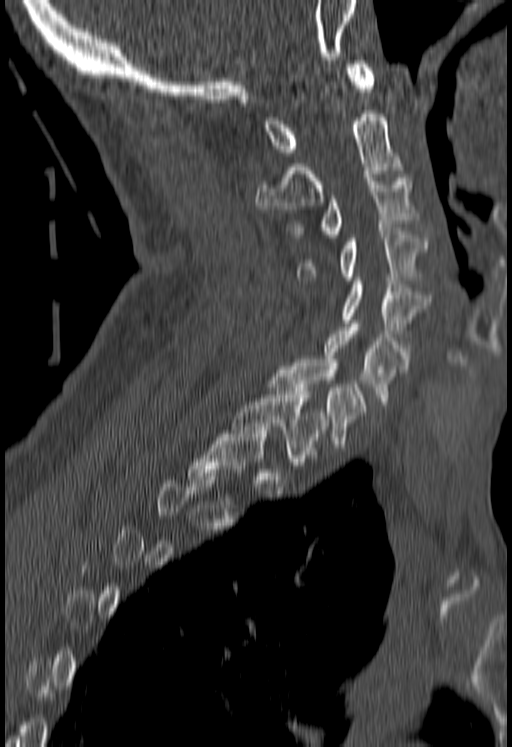 CT, spine · sagittal view · bone-window reconstruction · 512x747 px. Boxes: x1:y1:x2:y2 in pixels.
Not every vertebra on this slice has a box: a vertebra is boxed only from the first to the last slice where its cross-section is at least a third of its largest, and this slice is outside that range for at least one of them.
T1: 232:391:328:465
C7: 268:359:367:447
C6: 324:324:410:404
C5: 342:277:427:337
C4: 298:231:429:283
C3: 291:174:418:237
C2: 254:110:404:209
C1: 263:60:373:155